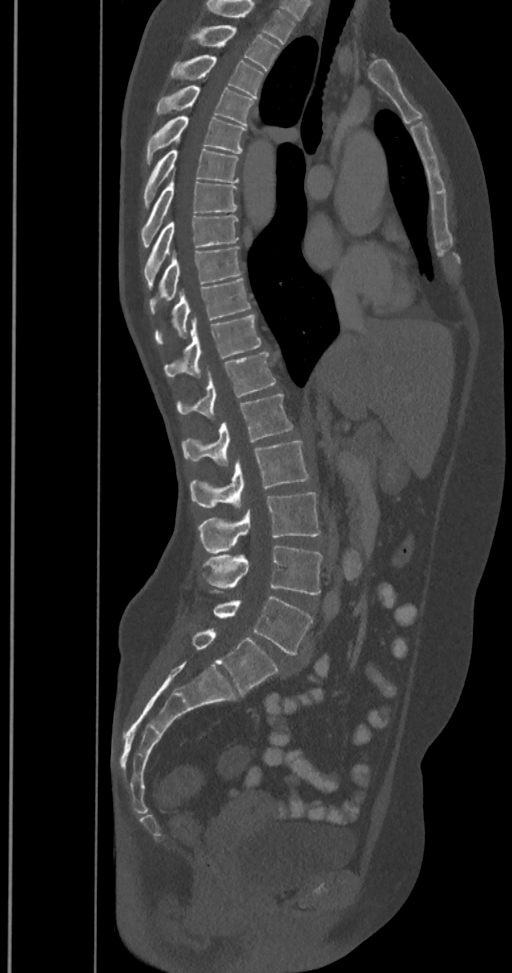 CT · sagittal view · 512x973 px
Columns x1, y1, x2, y2 give each box's top-left and bottom-right pixels.
In this scan, the topmost labeled vertebra is T2 and the lowest is L6.
In these labels the spine has an L6, a sixth lumbar vertebra below L5.
| vertebra | x1 | y1 | x2 | y2 |
|---|---|---|---|---|
| T2 | 190 | 25 | 280 | 71 |
| T3 | 171 | 54 | 264 | 98 |
| T4 | 156 | 86 | 253 | 125 |
| T5 | 146 | 116 | 246 | 164 |
| T6 | 143 | 150 | 239 | 208 |
| T7 | 140 | 176 | 237 | 247 |
| T8 | 143 | 216 | 239 | 287 |
| T9 | 149 | 246 | 240 | 314 |
| T10 | 155 | 278 | 250 | 344 |
| T11 | 164 | 315 | 261 | 378 |
| T12 | 177 | 352 | 275 | 419 |
| L1 | 183 | 394 | 293 | 466 |
| L2 | 190 | 441 | 309 | 509 |
| L3 | 197 | 492 | 321 | 552 |
| L4 | 203 | 545 | 322 | 594 |
| L5 | 210 | 590 | 313 | 655 |
| L6 | 191 | 628 | 278 | 695 |